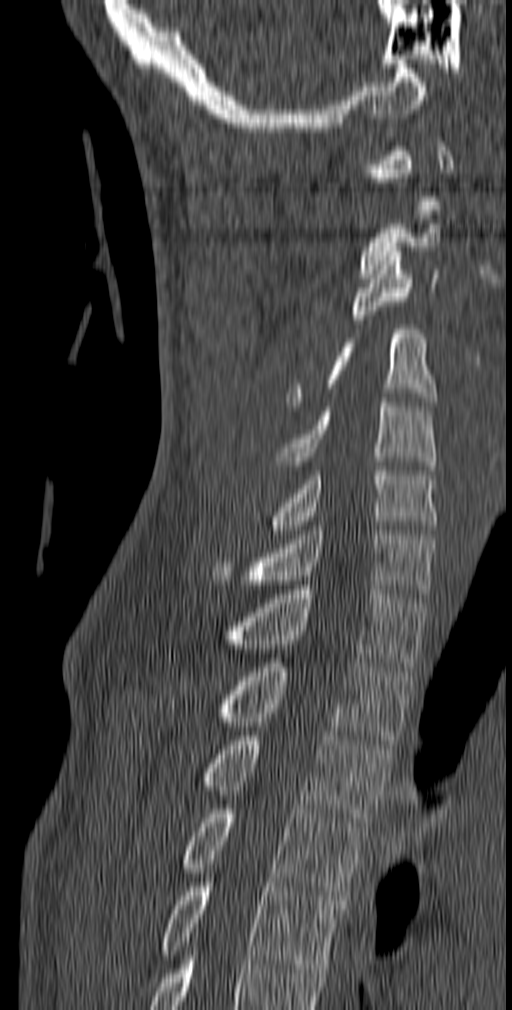
CT — sagittal view
Box edges are left/top/right/bottom in pixels. A vertebra gets a box only on the slices from the first to the last where its cross-section is at least a third of its largest; on a slice outside that range it gets none. The labeled vertebrae in this slice are: T5 at left=159, top=878, right=344, bottom=973, T4 at left=181, top=809, right=367, bottom=900, T3 at left=199, top=736, right=393, bottom=826, T2 at left=167, top=658, right=412, bottom=744, T1 at left=224, top=585, right=425, bottom=671, C7 at left=212, top=526, right=437, bottom=598, C6 at left=269, top=466, right=436, bottom=534, C5 at left=276, top=398, right=436, bottom=474, C4 at left=287, top=325, right=437, bottom=410, C3 at left=349, top=247, right=439, bottom=324, C2 at left=359, top=210, right=441, bottom=278.